Spine CT. Sagittal slice 38/75. Bone window (WL 400, WW 1800). 407x407 px. 16 vertebrae labeled in this scan
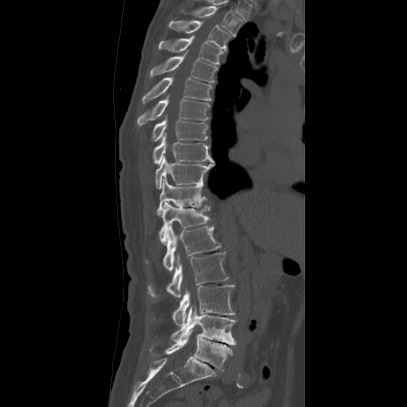 Each box given as x1,y1,x2,y2. The labeled vertebrae in this slice are: T2 at x1=180, y1=5, x2=243, y2=37, T3 at x1=168, y1=19, x2=231, y2=50, T4 at x1=156, y1=36, x2=223, y2=65, T5 at x1=150, y1=50, x2=217, y2=82, T6 at x1=141, y1=77, x2=212, y2=104, T7 at x1=135, y1=98, x2=209, y2=127, T8 at x1=151, y1=116, x2=207, y2=142, T9 at x1=149, y1=135, x2=214, y2=164, T10 at x1=154, y1=157, x2=214, y2=189, T11 at x1=156, y1=177, x2=207, y2=214, T12 at x1=158, y1=201, x2=210, y2=243, L1 at x1=145, y1=225, x2=220, y2=270, L2 at x1=146, y1=252, x2=228, y2=297, L3 at x1=172, y1=285, x2=234, y2=326, L4 at x1=169, y1=306, x2=235, y2=345, L5 at x1=148, y1=330, x2=232, y2=371.